CT; sagittal plane, index 174; Bone window (WL 400, WW 1800); part of the image has been replaced by a constant value
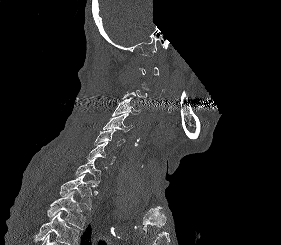 A vertebra is boxed only from the first to the last slice where its cross-section is at least a third of its largest; slices outside that range leave it without a box.
Where the bottom of the scan cuts through a vertebra, that vertebra gets no label or box.
<vertebrae><v name="C3" x1="112" y1="97" x2="141" y2="116"/><v name="C4" x1="103" y1="112" x2="133" y2="131"/><v name="C5" x1="94" y1="130" x2="125" y2="146"/><v name="C6" x1="87" y1="142" x2="115" y2="164"/><v name="C7" x1="75" y1="158" x2="100" y2="185"/><v name="T1" x1="59" y1="174" x2="94" y2="209"/><v name="T2" x1="47" y1="191" x2="85" y2="229"/></vertebrae>